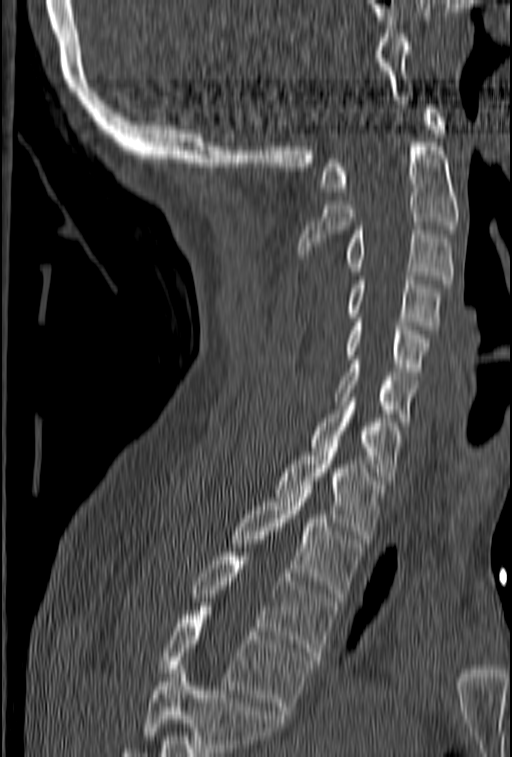 CT, spine; sagittal view; Bone window (WL 400, WW 1800). Boxes are (x1, y1, x2, y2) in pixels. Where the bottom of the scan cuts through a vertebra, that vertebra gets no label or box. Vertebrae labeled: C1 at (320, 105, 445, 191), C2 at (299, 142, 459, 258), C3 at (343, 226, 454, 288), C4 at (346, 276, 442, 329), C5 at (343, 318, 429, 375), C6 at (334, 360, 418, 426), C7 at (309, 397, 402, 484), T1 at (276, 448, 385, 543), T2 at (231, 489, 362, 597), T3 at (192, 552, 336, 660), T4 at (158, 611, 313, 714).